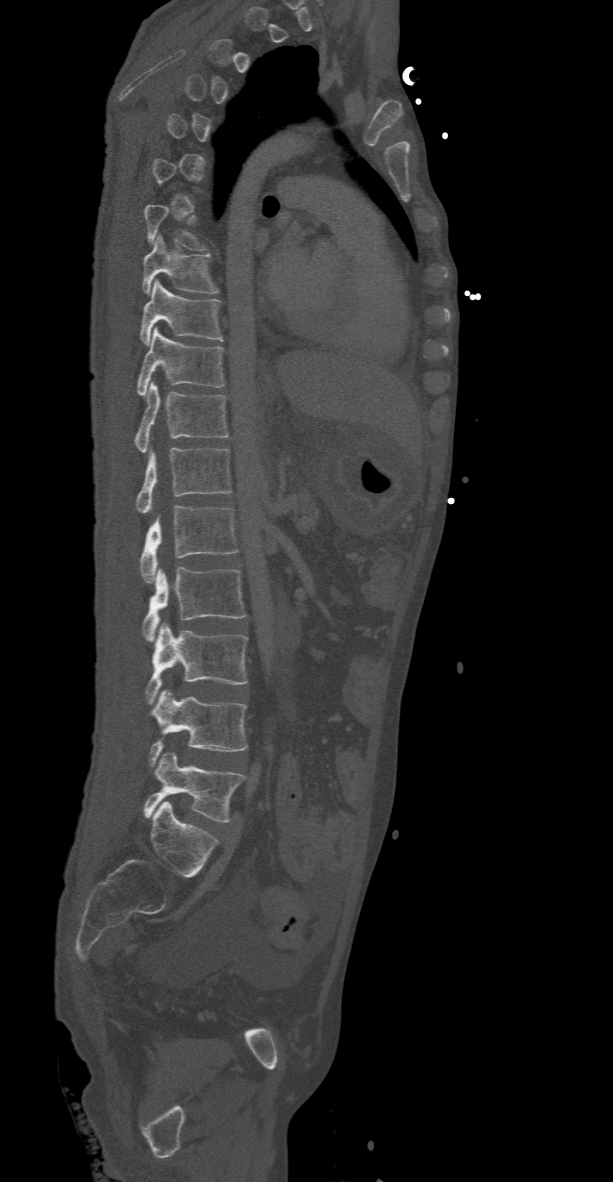
Computed tomography of the spine · 368 mm across the image · sagittal view · Bone window (WL 400, WW 1800)

Each row gives a vertebra's box as x1, y1, x2, y2 in pixels: top-left corner, then bottom-right corner.
Each vertebra is boxed only on the slices from the first to the last where its cross-section reaches a third of its largest, so a slice outside that range leaves it unboxed.
| vertebra | x1 | y1 | x2 | y2 |
|---|---|---|---|---|
| T8 | 141 | 236 | 218 | 295 |
| T9 | 140 | 279 | 222 | 346 |
| T10 | 137 | 327 | 225 | 396 |
| T11 | 134 | 382 | 229 | 453 |
| T12 | 134 | 447 | 233 | 513 |
| L1 | 140 | 506 | 237 | 583 |
| L2 | 141 | 567 | 246 | 640 |
| L3 | 145 | 622 | 247 | 703 |
| L4 | 150 | 689 | 247 | 766 |
| L5 | 143 | 752 | 246 | 821 |